CT, spine — sagittal view
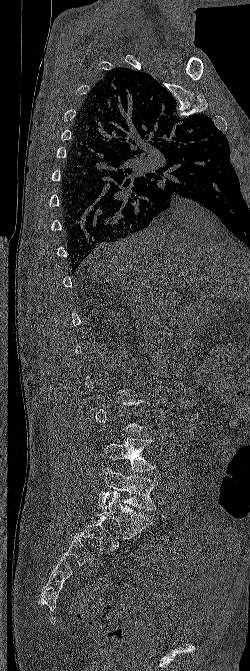

Box edges are left/top/right/bottom in pixels.
A vertebra gets a box only on the slices from the first to the last where its cross-section is at least a third of its largest; on a slice outside that range it gets none.
| vertebra | x1 | y1 | x2 | y2 |
|---|---|---|---|---|
| L4 | 104 | 438 | 156 | 471 |
| L5 | 98 | 467 | 157 | 510 |